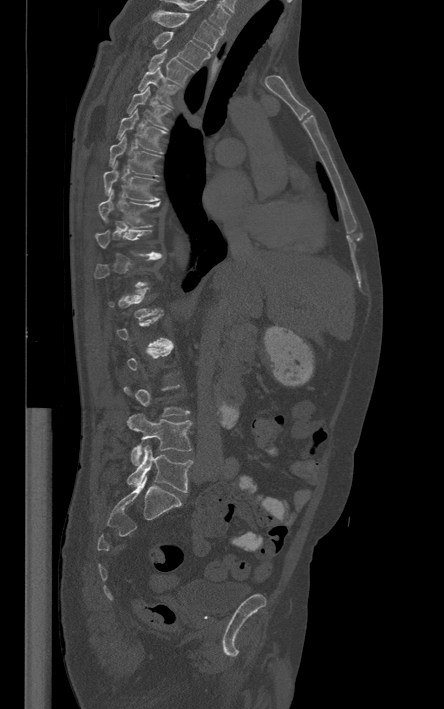

CT — sagittal view
Box edges are left/top/right/bottom in pixels.
A vertebra is boxed only from the first to the last slice where its cross-section is at least a third of its largest; slices outside that range leave it without a box.
This scan's labels start at T1 at the top and end at L5 at the bottom.
Vertebra bounding boxes:
- T1: left=151, top=10, right=221, bottom=51
- T2: left=153, top=32, right=210, bottom=68
- T3: left=148, top=48, right=193, bottom=85
- T4: left=138, top=66, right=178, bottom=106
- T5: left=126, top=87, right=170, bottom=130
- T6: left=116, top=110, right=166, bottom=154
- T7: left=110, top=134, right=160, bottom=175
- T8: left=104, top=161, right=158, bottom=201
- T9: left=98, top=190, right=159, bottom=228
- L4: left=127, top=414, right=191, bottom=465
- L5: left=127, top=445, right=192, bottom=492